Computed tomography of the spine. sagittal view. bone-window reconstruction. the image spans 350 mm across. 512x714 px
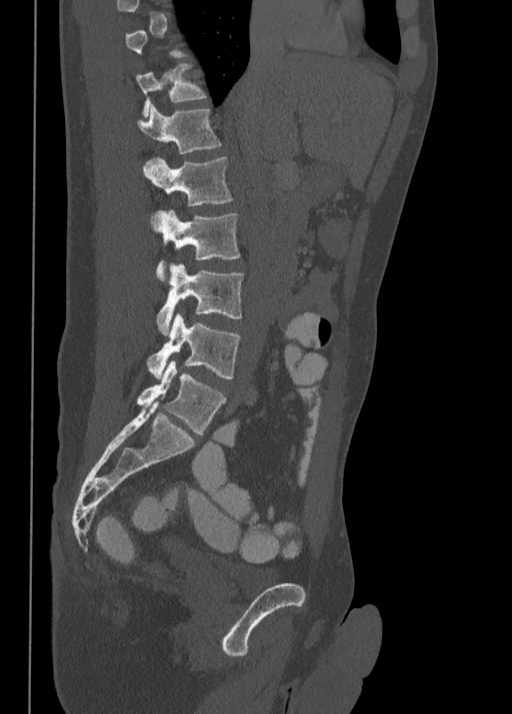

Each vertebra maps to its box as [x1, y1, x2, y2], the pixel coordinates of its top-left and bottom-right corners.
A vertebra gets a box only on the slices from the first to the last where its cross-section is at least a third of its largest; on a slice outside that range it gets none.
{"vertebrae":{"T11":[136,65,206,117],"T12":[137,103,221,154],"L1":[145,157,233,207],"L2":[150,209,240,281],"L3":[156,265,243,335],"L4":[148,313,240,379],"L5":[137,361,226,435]}}